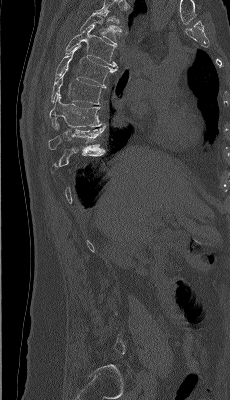

CT spine — sagittal view — Bone window (WL 400, WW 1800) — 230x400 px
Boxes are given in columns x1, y1, x2, y2, the pixel coordinates of their top-left and bottom-right corners.
A vertebra gets a box only on the slices from the first to the last where its cross-section is at least a third of its largest; on a slice outside that range it gets none.
In this scan, the topmost labeled vertebra is T4 and the lowest is L5.
| vertebra | x1 | y1 | x2 | y2 |
|---|---|---|---|---|
| T4 | 79 | 10 | 121 | 43 |
| T5 | 65 | 24 | 118 | 67 |
| T6 | 55 | 44 | 116 | 87 |
| T7 | 51 | 68 | 105 | 104 |
| T8 | 49 | 93 | 105 | 128 |
| T9 | 48 | 124 | 105 | 149 |